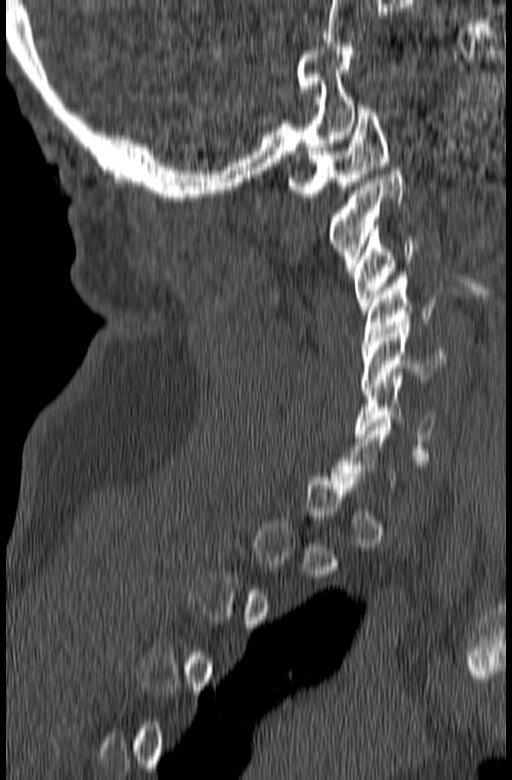

Spine CT; sagittal reformat; 512x780 px
Each box given as x1,y1,x2,y2.
Not every vertebra on this slice has a box: a vertebra is boxed only from the first to the last slice where its cross-section is at least a third of its largest, and this slice is outside that range for at least one of them.
| vertebra | x1 | y1 | x2 | y2 |
|---|---|---|---|---|
| C1 | 288 | 105 | 388 | 197 |
| C2 | 330 | 171 | 405 | 271 |
| C3 | 352 | 225 | 418 | 313 |
| C4 | 361 | 272 | 438 | 348 |
| C5 | 361 | 322 | 445 | 391 |
| C6 | 355 | 376 | 436 | 453 |